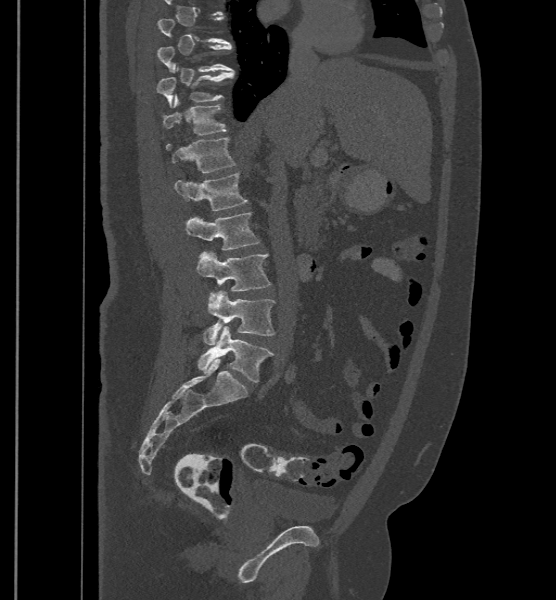

CT — image width 500 mm — sagittal view — 556x600 px. Bounding boxes as [x1, y1, x2, y2] in pixel coordinates. A vertebra is boxed only from the first to the last slice where its cross-section is at least a third of its largest; slices outside that range leave it without a box. In these labels the spine has an L6, a sixth lumbar vertebra below L5. The labeled vertebrae in this slice are: T10 at [157, 44, 232, 71], T11 at [156, 67, 234, 107], T12 at [162, 94, 227, 135], L1 at [166, 138, 236, 172], L2 at [175, 172, 247, 210], L3 at [186, 212, 261, 250], L4 at [196, 251, 270, 301], L5 at [203, 291, 275, 345], L6 at [197, 327, 274, 382].